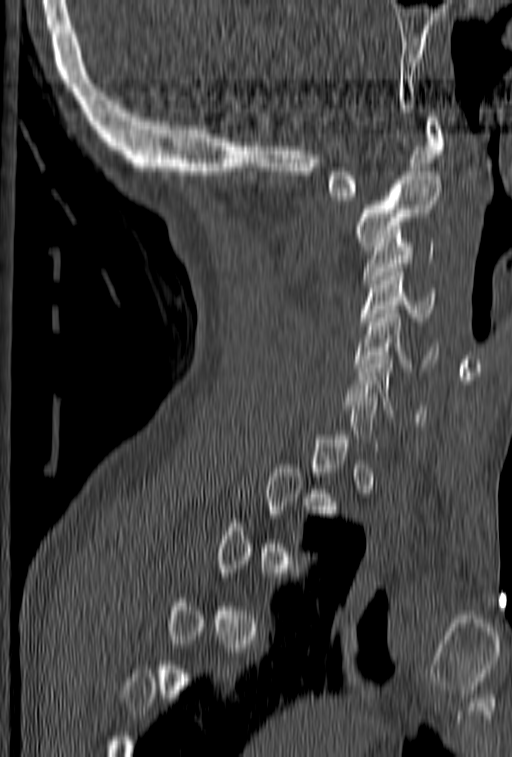
Spine computed tomography — sagittal view — bone window
Boxes: x1 y1 x2 y2 (pixel coords, space-separated).
Each vertebra is boxed only on the slices from the first to the last where its cross-section reaches a third of its largest, so a slice outside that range leaves it unboxed.
C1: 326 113 444 200
C2: 356 172 442 250
C3: 363 238 435 283
C4: 359 264 437 325
C5: 355 301 439 371
C6: 346 356 426 421